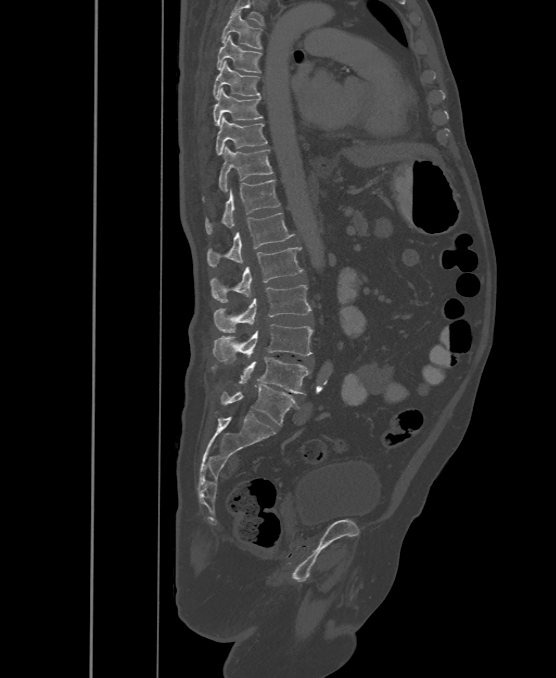

Computed tomography of the spine; sagittal view; 556x678 px; the image is 500 mm wide
Each vertebra maps to its box as [x1, y1, x2, y2], the pixel coordinates of its top-left and bottom-right corners.
These labels give the spine a sixth lumbar vertebra, L6, below L5.
{"vertebrae":{"T6":[221,11,263,48],"T7":[216,35,262,72],"T8":[213,61,261,97],"T9":[213,88,263,125],"T10":[216,117,267,155],"T11":[219,146,274,192],"T12":[204,179,280,234],"L1":[206,213,293,267],"L2":[211,247,303,303],"L3":[214,285,310,332],"L4":[213,324,313,363],"L5":[239,357,312,394],"L6":[221,384,298,425]}}